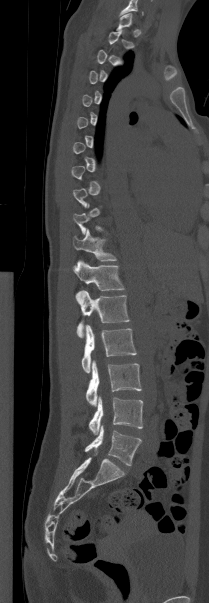

CT, spine. sagittal view. 209x603 px. Each box given as x1,y1,x2,y2.
A vertebra is boxed only from the first to the last slice where its cross-section is at least a third of its largest; slices outside that range leave it without a box.
L5: x1=85, y1=425, x2=141, y2=465
L4: x1=89, y1=396, x2=142, y2=434
L3: x1=86, y1=360, x2=141, y2=406
L2: x1=81, y1=324, x2=136, y2=372
L1: x1=76, y1=290, x2=129, y2=337
T12: x1=73, y1=260, x2=124, y2=291
T11: x1=73, y1=229, x2=116, y2=261